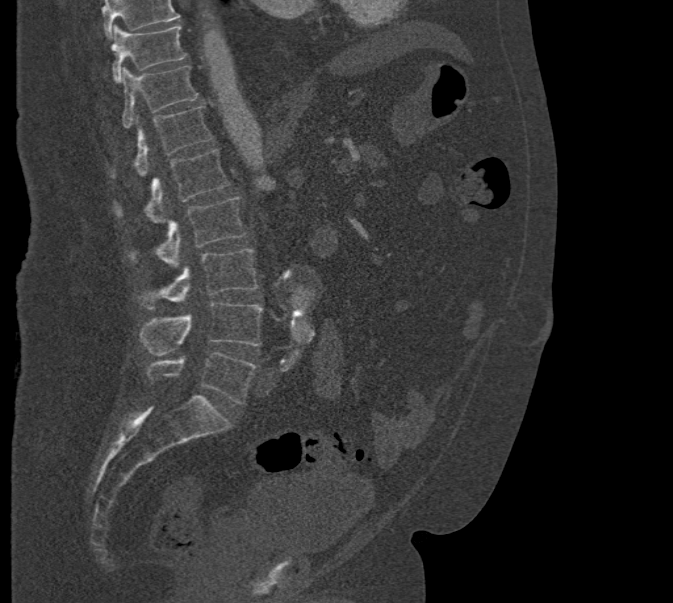
CT, spine — sagittal view — 673x603 px
Columns x1, y1, x2, y2 give each box's top-left and bottom-right pixels.
Vertebrae that run past the top of the scan are left unlabeled.
| vertebra | x1 | y1 | x2 | y2 |
|---|---|---|---|---|
| T10 | 112 | 25 | 186 | 82 |
| T11 | 121 | 66 | 199 | 128 |
| T12 | 110 | 106 | 213 | 178 |
| L1 | 113 | 149 | 229 | 222 |
| L2 | 126 | 196 | 246 | 267 |
| L3 | 135 | 249 | 258 | 309 |
| L4 | 139 | 302 | 262 | 355 |
| L5 | 146 | 352 | 257 | 404 |